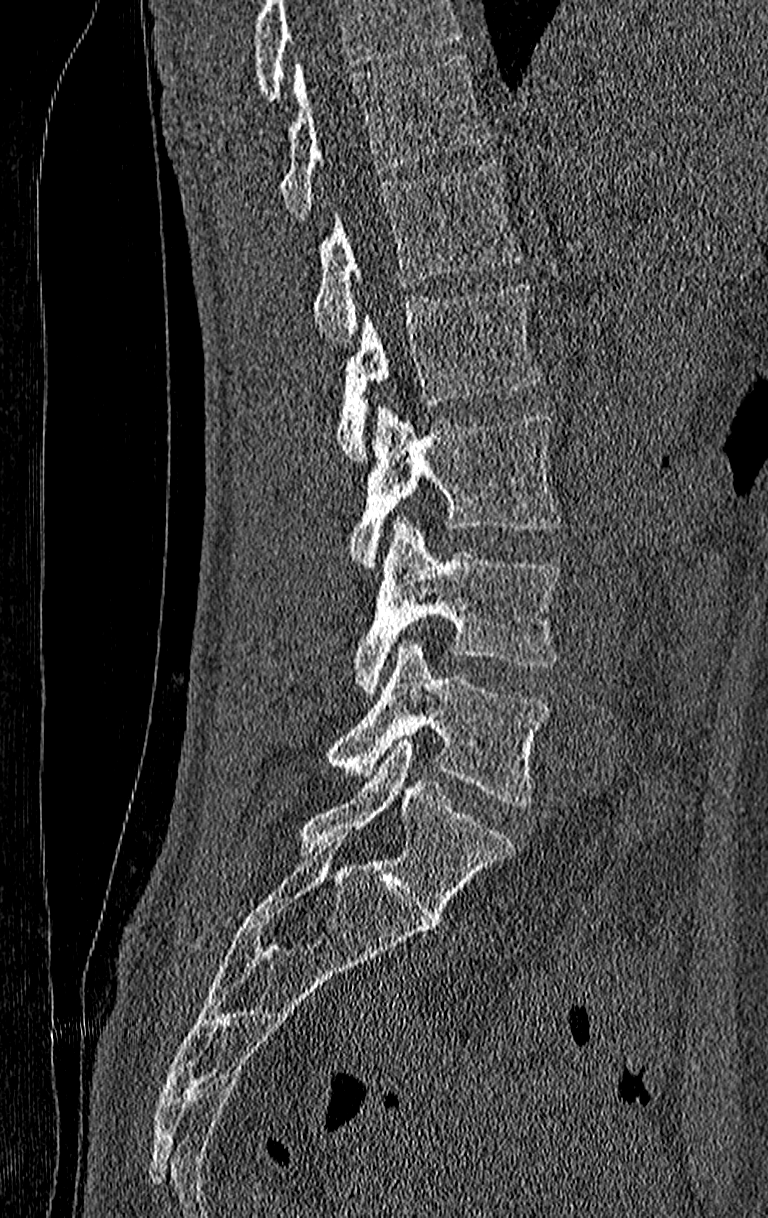 Spine computed tomography · sagittal view · 768x1218 px

Box edges are left/top/right/bottom in pixels.
No box is given to a vertebra that the top edge of the scan cuts off.
The highest labeled vertebra in this scan is T11; the lowest is L4.
T11: left=280, top=56, right=491, bottom=220
T12: left=313, top=161, right=521, bottom=343
L1: left=337, top=283, right=543, bottom=461
L2: left=350, top=406, right=561, bottom=570
L3: left=353, top=517, right=561, bottom=695
L4: left=328, top=640, right=550, bottom=804